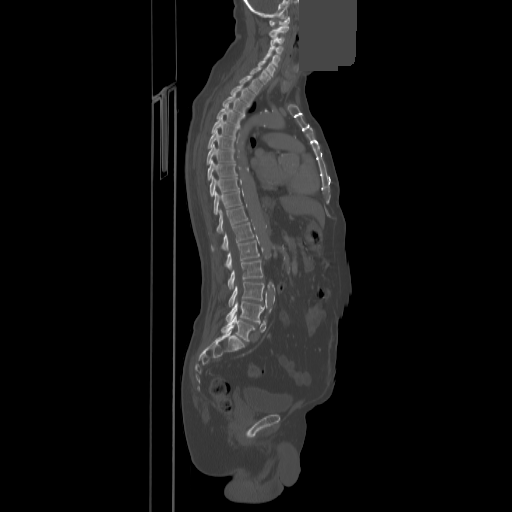

Computed tomography of the spine; sagittal view; 512x512 px; part of the image is a flat gray fill, not anatomy

Boxes are (x1, y1, x2, y2) in pixels.
Vertebra bounding boxes:
- C1: (269, 16, 289, 26)
- C2: (269, 25, 288, 37)
- C3: (270, 37, 283, 44)
- C4: (269, 45, 283, 55)
- C5: (264, 52, 280, 67)
- C6: (258, 60, 274, 76)
- C7: (250, 66, 270, 84)
- T1: (240, 74, 262, 93)
- T2: (230, 84, 255, 104)
- T3: (222, 93, 248, 114)
- T4: (216, 105, 243, 125)
- T5: (211, 116, 239, 137)
- T6: (207, 130, 234, 148)
- T7: (207, 144, 234, 164)
- T8: (207, 160, 236, 180)
- T9: (210, 176, 239, 196)
- T10: (213, 190, 242, 214)
- T11: (216, 206, 247, 233)
- T12: (211, 222, 253, 250)
- L1: (225, 240, 259, 269)
- L2: (228, 260, 262, 289)
- L3: (229, 281, 264, 306)
- L4: (226, 301, 264, 323)
- L5: (221, 316, 255, 341)